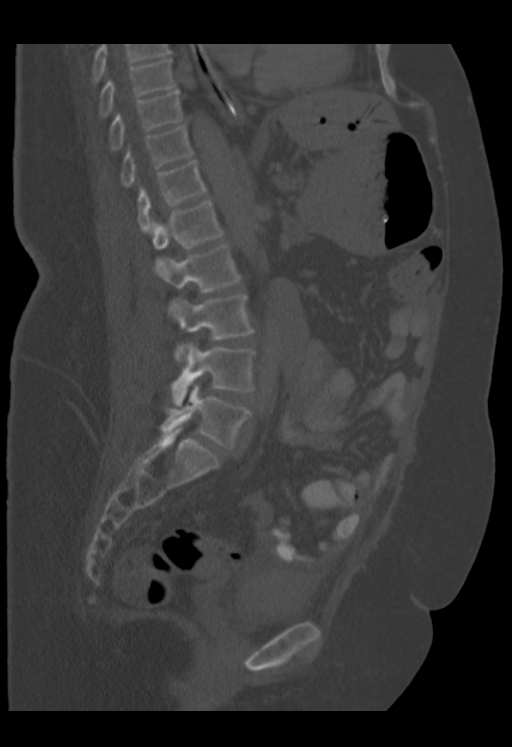

Computed tomography of the spine; sagittal view
The highest labeled vertebra in this scan is T9; the lowest is L5.
<vertebrae><v name="L5" x1="160" y1="384" x2="252" y2="449"/><v name="L4" x1="171" y1="343" x2="255" y2="405"/><v name="L3" x1="167" y1="293" x2="253" y2="361"/><v name="L2" x1="154" y1="244" x2="241" y2="293"/><v name="L1" x1="152" y1="199" x2="223" y2="249"/><v name="T12" x1="137" y1="160" x2="207" y2="233"/><v name="T11" x1="121" y1="125" x2="193" y2="186"/><v name="T10" x1="109" y1="89" x2="182" y2="150"/><v name="T9" x1="99" y1="58" x2="176" y2="117"/></vertebrae>